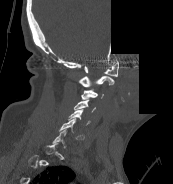 Spine computed tomography — sagittal view — a region is blanked to uniform black, ending in a straight edge
Each vertebra is boxed only on the slices from the first to the last where its cross-section reaches a third of its largest, so a slice outside that range leaves it unboxed.
<vertebrae><v name="C1" x1="84" y1="61" x2="118" y2="76"/><v name="C2" x1="79" y1="76" x2="114" y2="86"/><v name="C3" x1="81" y1="89" x2="103" y2="99"/><v name="C4" x1="74" y1="100" x2="95" y2="112"/><v name="C5" x1="68" y1="109" x2="90" y2="125"/><v name="C6" x1="59" y1="118" x2="84" y2="139"/></vertebrae>